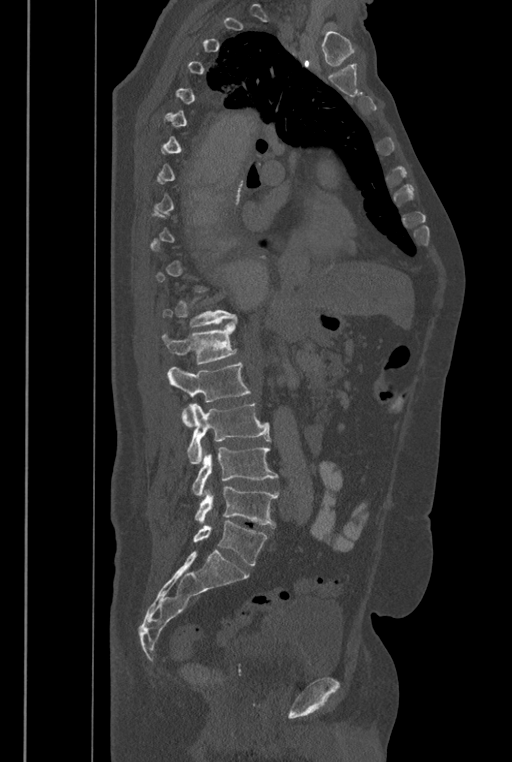
CT, spine; sagittal view; W/L 1800/400 HU. Box edges are left/top/right/bottom in pixels. Not every vertebra on this slice has a box: a vertebra is boxed only from the first to the last slice where its cross-section is at least a third of its largest, and this slice is outside that range for at least one of them. The labels name a sixth lumbar vertebra for this spine: L6, after L5. The labeled vertebrae in this slice are: L6 at left=193, top=521, right=268, bottom=565, L5 at left=195, top=486, right=278, bottom=527, L4 at left=192, top=446, right=278, bottom=495, L3 at left=187, top=403, right=271, bottom=463, L2 at left=167, top=362, right=250, bottom=427, L1 at left=162, top=319, right=237, bottom=365.